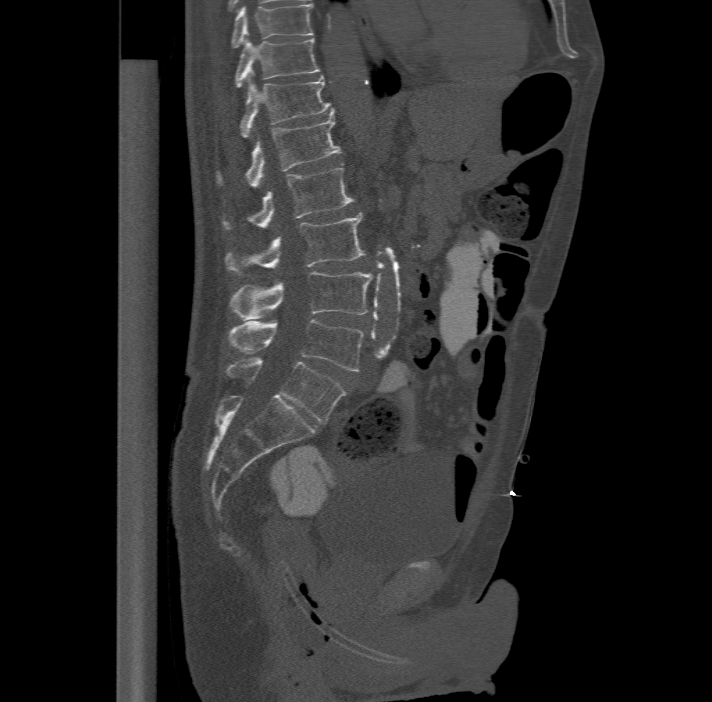
CT; sagittal view; bone-window reconstruction; 712x702 px

This scan's labels start at T11 at the top and end at L6 at the bottom.
These labels give the spine a sixth lumbar vertebra, L6, below L5.
<vertebrae><v name="L6" x1="225" y1="357" x2="345" y2="422"/><v name="L5" x1="228" y1="318" x2="363" y2="371"/><v name="L4" x1="229" y1="271" x2="372" y2="318"/><v name="L3" x1="225" y1="212" x2="365" y2="275"/><v name="L2" x1="222" y1="167" x2="354" y2="229"/><v name="L1" x1="217" y1="110" x2="341" y2="185"/><v name="T12" x1="239" y1="72" x2="333" y2="136"/><v name="T11" x1="234" y1="37" x2="320" y2="85"/></vertebrae>